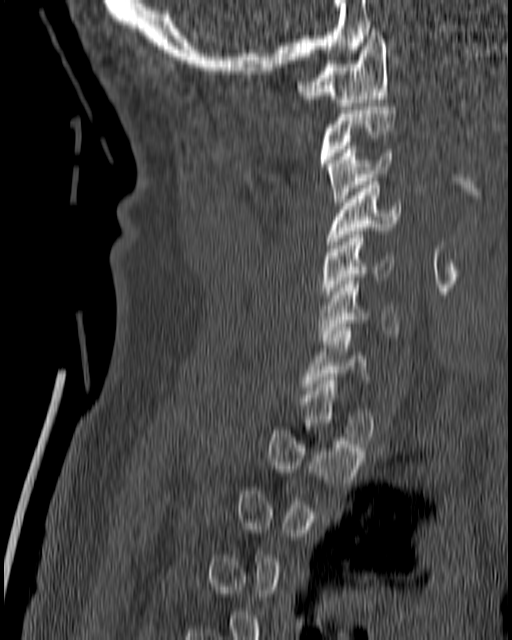

CT, spine; sagittal view; 512x640 px
Each box given as x1,y1,x2,y2.
Each vertebra is boxed only on the slices from the first to the last where its cross-section reaches a third of its largest, so a slice outside that range leaves it unboxed.
Vertebra bounding boxes:
- C1: x1=297, y1=28, x2=388, y2=109
- C2: x1=319, y1=107, x2=395, y2=166
- C3: x1=326, y1=146, x2=394, y2=205
- C4: x1=325, y1=178, x2=401, y2=248
- C5: x1=319, y1=235, x2=393, y2=301
- C6: x1=318, y1=277, x2=399, y2=344
- C7: x1=302, y1=327, x2=367, y2=390